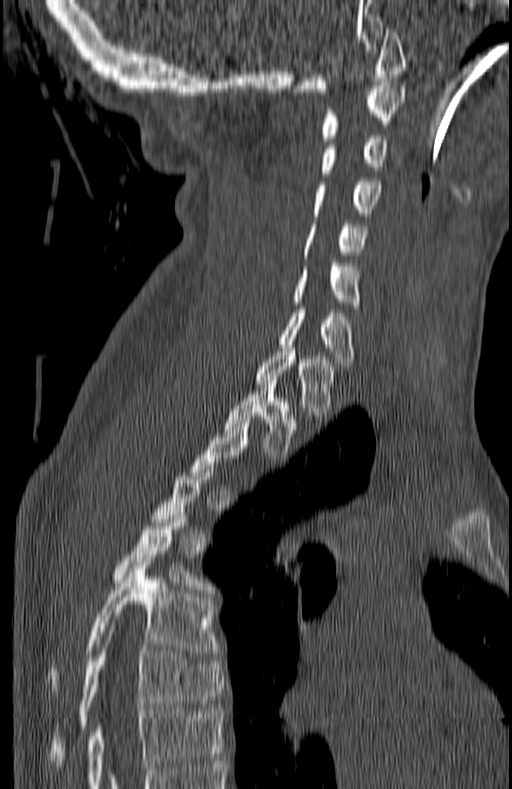

CT · sagittal view · bone-window reconstruction · 512x789 px. Boxes: x1:y1:x2:y2 in pixels.
A vertebra is boxed only from the first to the last slice where its cross-section is at least a third of its largest; slices outside that range leave it without a box.
T7: 49:647:225:767
T6: 49:562:216:692
T5: 112:512:210:589
T2: 223:380:299:458
T1: 254:348:336:419
C7: 277:309:353:369
C6: 291:263:361:312
C5: 300:224:364:255
C4: 311:178:381:216
C3: 319:135:390:177
C2: 319:85:404:141
C1: 292:28:407:95